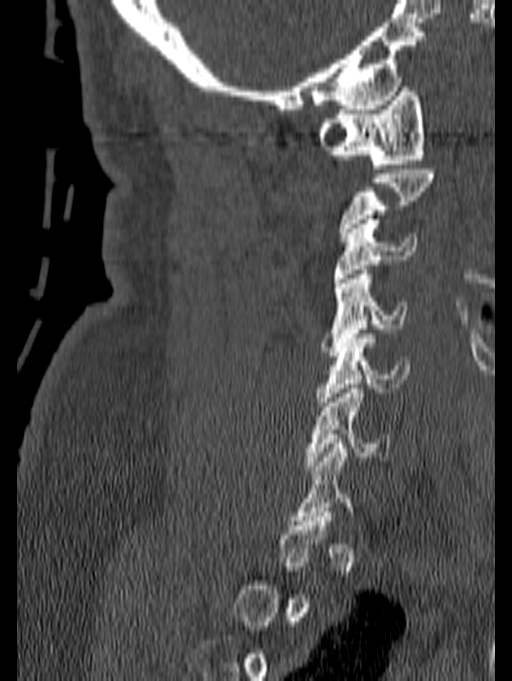 Spine computed tomography. sagittal view. 512x681 px. the image is 140 mm wide
Coordinates as <box>x1,y1,x2,y2</box>.
A vertebra is boxed only from the first to the last slice where its cross-section is at least a third of its largest; slices outside that range leave it without a box.
C1: <box>317,87,425,168</box>
C3: <box>333,219,418,282</box>
C4: <box>321,270,407,356</box>
C5: <box>315,334,410,406</box>
C6: <box>305,384,389,470</box>